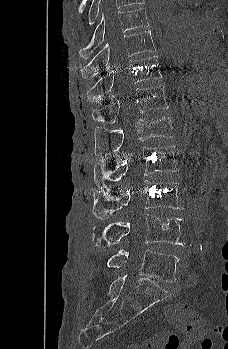 CT spine. sagittal view. the image is 228 mm wide

Boxes: x1 y1 x2 y2 (pixel coords, space-separated).
Vertebra bounding boxes:
- T9: 79 7 149 60
- T10: 81 30 156 79
- T11: 87 55 162 102
- T12: 92 85 168 124
- L1: 94 116 174 158
- L2: 94 145 179 190
- L3: 92 180 183 219
- L4: 92 214 184 246
- L5: 106 249 179 281